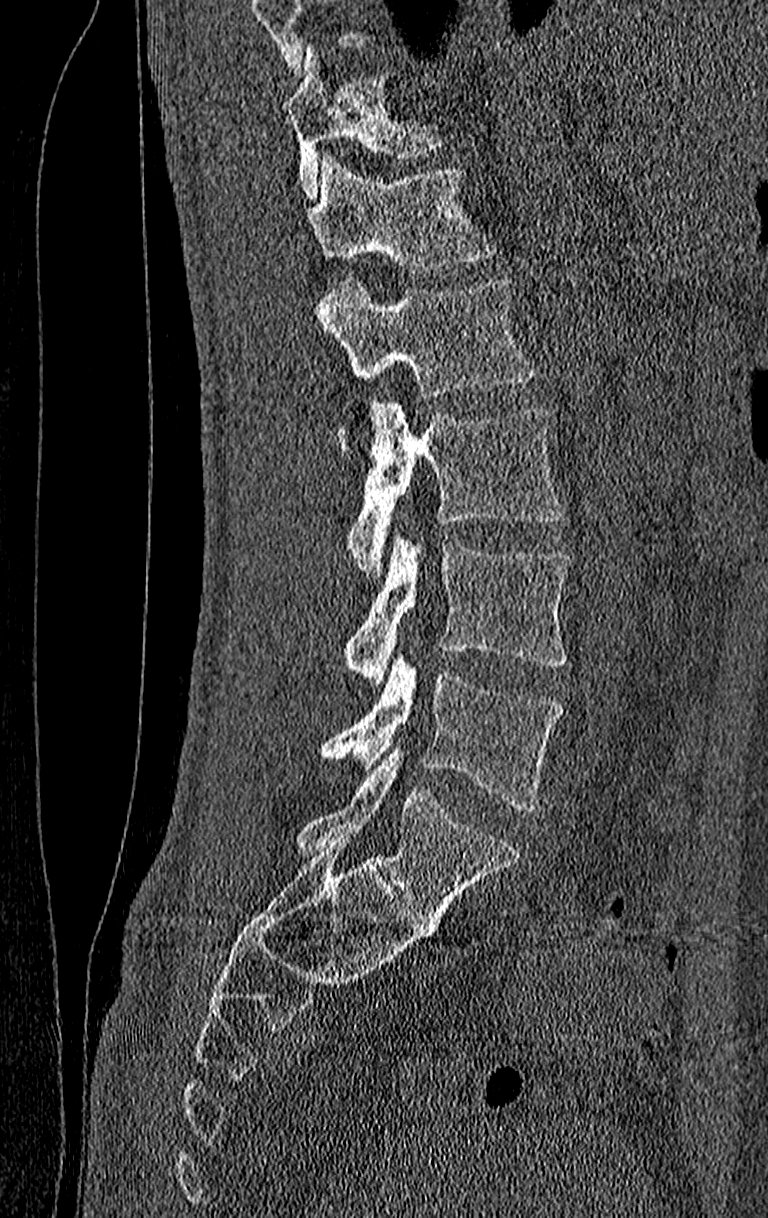
Spine CT · sagittal view · W/L 1800/400 HU
A vertebra cut off by the top edge of the scan is not labeled and has no box.
Labels in this scan begin with T11 at the top and end with L4 at the bottom.
<vertebrae><v name="T11" x1="284" y1="48" x2="447" y2="198"/><v name="T12" x1="310" y1="155" x2="499" y2="274"/><v name="L1" x1="320" y1="278" x2="535" y2="453"/><v name="L2" x1="346" y1="403" x2="565" y2="573"/><v name="L3" x1="342" y1="535" x2="572" y2="684"/><v name="L4" x1="320" y1="655" x2="565" y2="812"/></vertebrae>